Spine CT. Sagittal slice 242/512. bone window
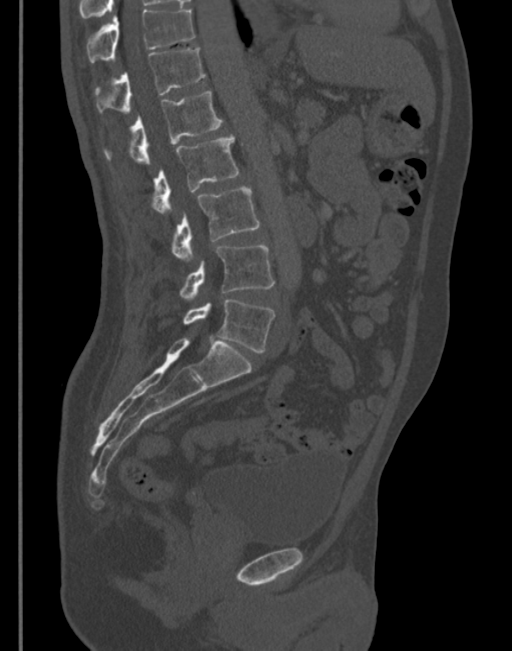 Each box given as x1,y1,x2,y2.
| vertebra | x1 | y1 | x2 | y2 |
|---|---|---|---|---|
| L5 | 182 | 299 | 275 | 352 |
| L4 | 179 | 245 | 275 | 299 |
| L3 | 172 | 186 | 260 | 261 |
| L2 | 151 | 135 | 238 | 214 |
| L1 | 104 | 91 | 221 | 164 |
| T12 | 95 | 46 | 205 | 113 |
| T11 | 86 | 8 | 195 | 62 |